Spine computed tomography — 461 mm wide — sagittal reformat — 512x759 px
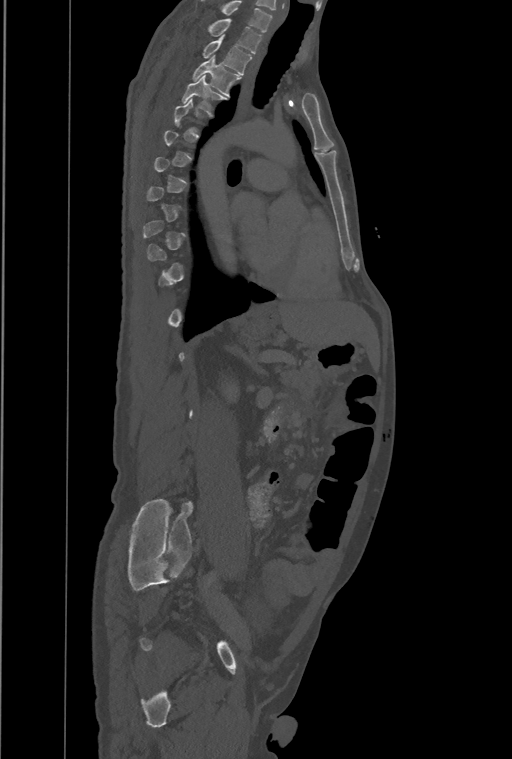
Boxes: x1 y1 x2 y2 (pixel coords, space-separated).
Each vertebra is boxed only on the slices from the first to the last where its cross-section reaches a third of its largest, so a slice outside that range leaves it unboxed.
Labels in this scan begin with T1 at the top and end with L4 at the bottom.
Vertebra bounding boxes:
- T1: 208 19 262 54
- T2: 203 36 252 75
- T3: 193 57 241 96
- T4: 182 76 225 114